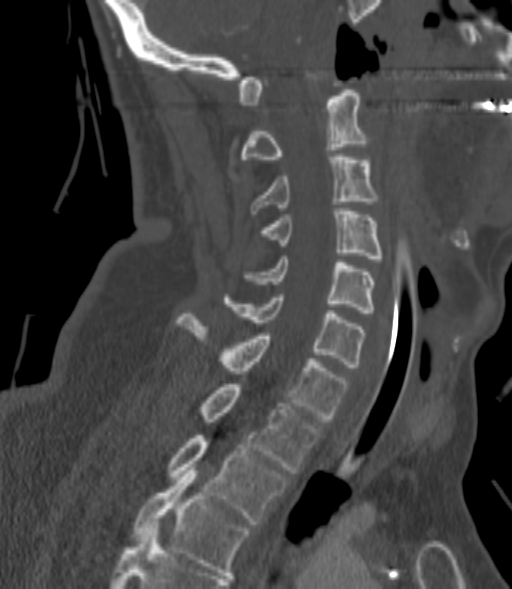

CT, spine — sagittal view — bone-window reconstruction — 512x589 px
Each box is [x1, y1, x2, y2] in pixels: top-left corner, then bottom-right corner.
Not every vertebra on this slice has a box: a vertebra is boxed only from the first to the last slice where its cross-section is at least a third of its largest, and this slice is outside that range for at least one of them.
{"vertebrae":{"T3":[134,470,248,575],"T2":[167,435,287,524],"T1":[200,384,320,473],"C7":[177,314,348,421],"C6":[224,294,363,367],"C5":[245,256,374,313],"C4":[259,211,381,261],"C3":[250,157,376,213],"C2":[241,90,368,162]}}